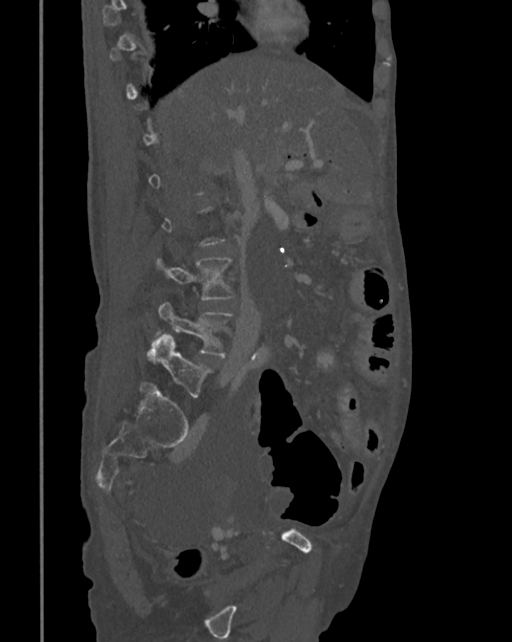

CT, spine — sagittal view

Coordinates as <box>x1,y1,x2,y2</box>. Each vertebra is boxed only on the slices from the first to the last where its cross-section reaches a third of its largest, so a slice outside that range leaves it unboxed. The labeled vertebrae in this slice are: L3 at <box>157,258,235,299</box>, L4 at <box>145,302,233,358</box>, L5 at <box>148,334,210,397</box>.